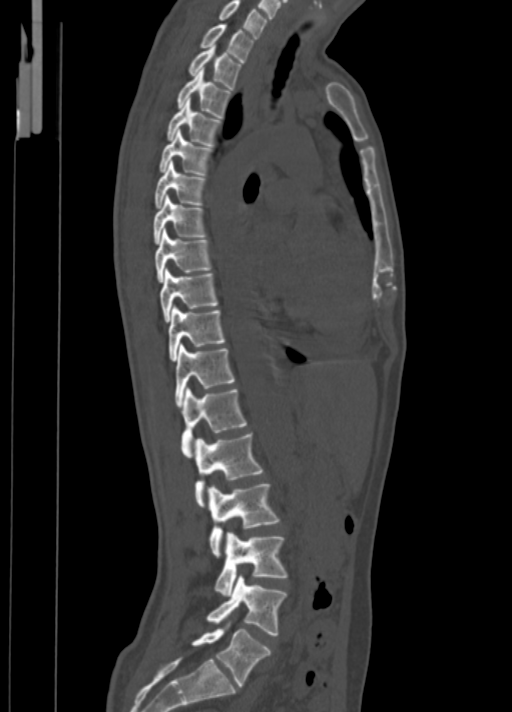 CT spine — sagittal reformat

Boxes below are [x1, y1, x2, y2] in pixels.
{"vertebrae":{"C7":[219,0,267,38],"T1":[200,23,253,62],"T2":[188,45,240,90],"T3":[177,69,230,117],"T4":[167,99,221,147],"T5":[159,129,211,175],"T6":[155,161,205,208],"T7":[153,195,205,245],"T8":[155,228,209,281],"T9":[159,268,217,322],"T10":[168,306,224,360],"T11":[175,344,234,406],"T12":[180,386,246,457],"L1":[194,433,262,507],"L2":[207,484,280,556],"L3":[215,531,287,596],"L4":[206,575,285,635],"L5":[191,622,271,687]}}